Computed tomography of the spine — sagittal reformat — bone window — scan covers 6 annotated vertebrae
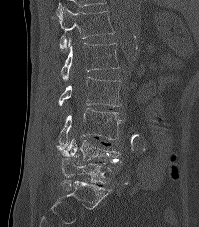

Boxes: x1:y1:x2:y2 in pixels. The labeled vertebrae in this slice are: T12 at 59:7:114:53, L1 at 61:38:118:80, L2 at 59:77:121:106, L3 at 56:108:121:149, L4 at 61:138:122:163, L5 at 60:158:111:190.